Spine computed tomography. Sagittal slice 212/512. 512x933 px. part of the image has been replaced by a constant value
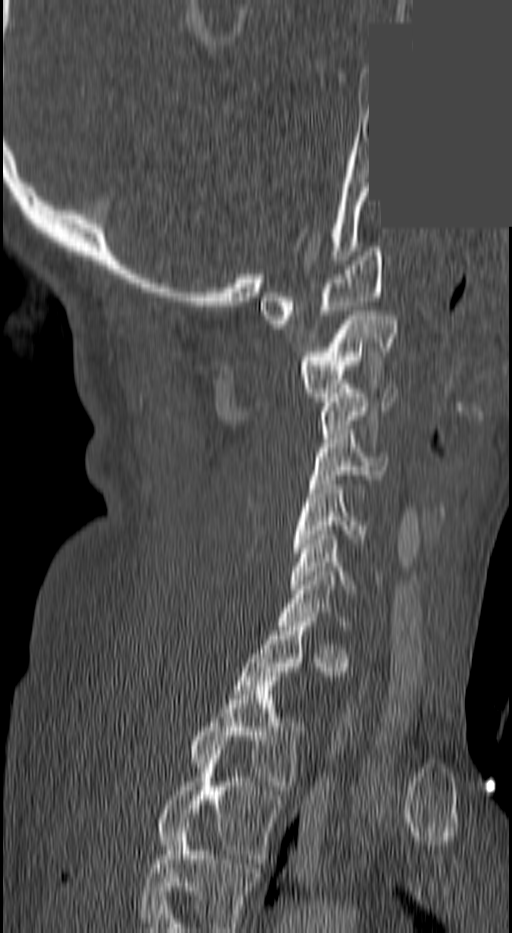
Each box is [x1, y1, x2, y2] in pixels: top-left corner, then bottom-right corner.
A vertebra gets a box only on the slices from the first to the last where its cross-section is at least a third of its largest; on a slice outside that range it gets none.
The highest labeled vertebra in this scan is C1; the lowest is T3.
{"vertebrae":{"T3":[155,759,282,863],"T2":[188,677,304,794],"C7":[279,576,348,630],"C6":[290,535,380,593],"C5":[291,485,366,552],"C4":[309,434,386,484],"C3":[323,389,396,438],"C2":[298,311,395,401],"C1":[260,247,384,324]}}